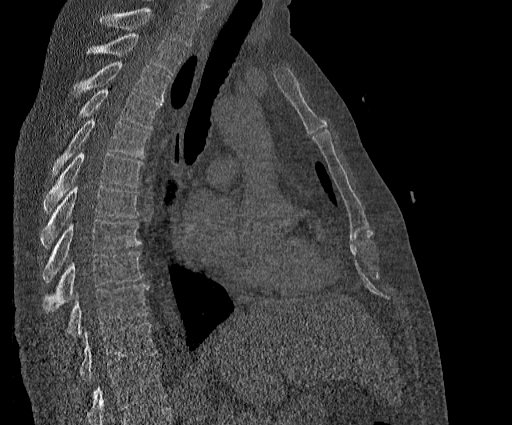
CT, spine · image 384 mm wide · sagittal view · bone-window reconstruction · 512x425 px. Boxes: x1:y1:x2:y2 in pixels. A vertebra cut off by the top edge of the scan is not labeled and has no box. Labels in this scan begin with T2 at the top and end with T11 at the bottom. 10 vertebrae labeled — T2 at 86:33:184:75; T3 at 73:61:171:102; T4 at 77:89:161:128; T5 at 52:119:149:175; T6 at 44:152:143:212; T7 at 40:185:139:247; T8 at 42:220:140:282; T9 at 42:252:143:312; T10 at 66:284:148:336; T11 at 80:323:156:380.